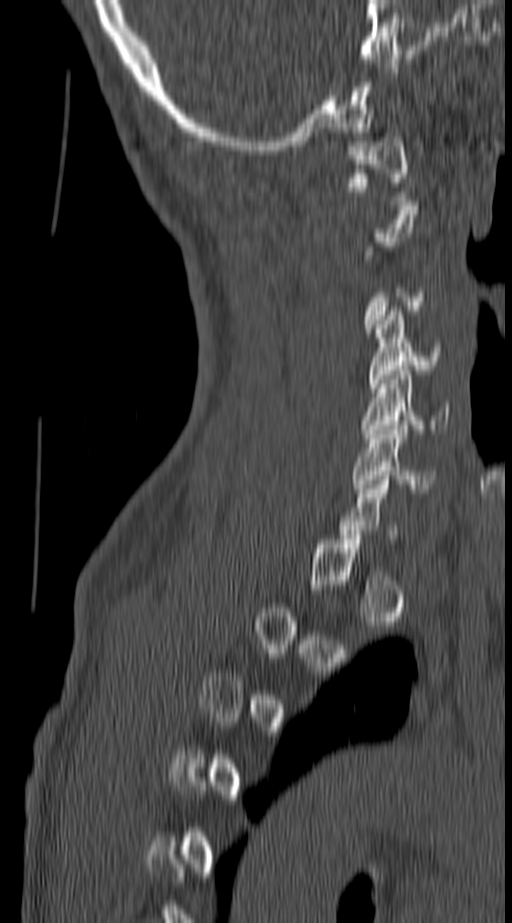
Computed tomography of the spine · image width 140 mm · sagittal view · W/L 1800/400 HU · 512x923 px. Each box given as x1,y1,x2,y2. Not every vertebra on this slice has a box: a vertebra is boxed only from the first to the last slice where its cross-section is at least a third of its largest, and this slice is outside that range for at least one of them. Vertebrae labeled: C1 at x1=349, y1=137, x2=408, y2=205, C4 at x1=371, y1=311, x2=441, y2=388, C5 at x1=361, y1=370, x2=450, y2=442, C6 at x1=351, y1=425, x2=439, y2=493.